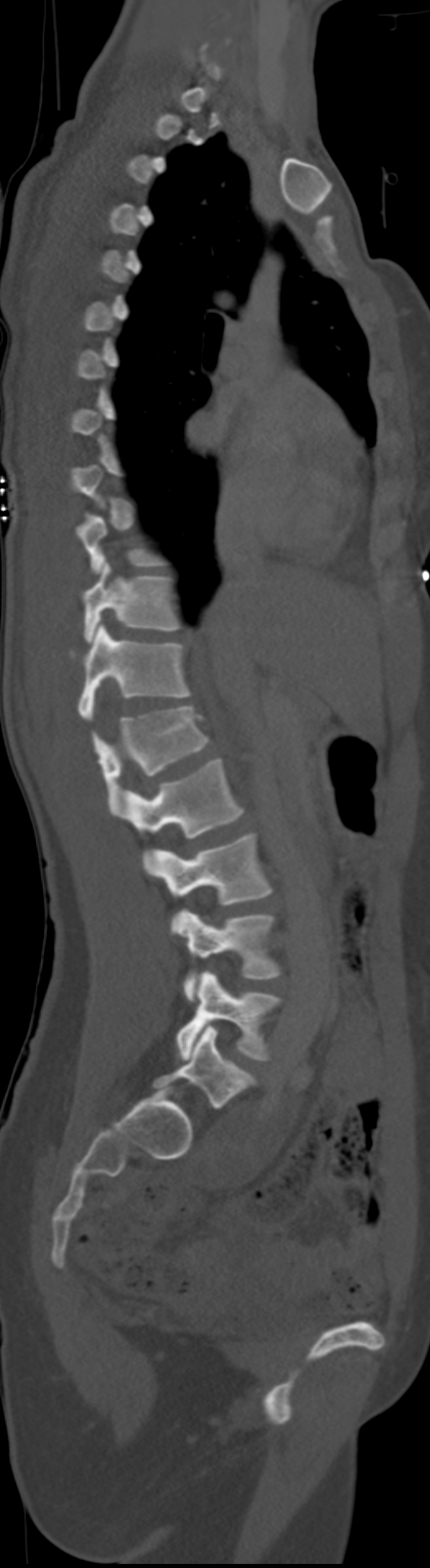

CT, spine · sagittal view · 430x1568 px. Coordinates as <box>x1,y1,x2,y2</box>.
A vertebra gets a box only on the slices from the first to the last where its cross-section is at least a third of its largest; on a slice outside that range it gets none.
The labels name a sixth lumbar vertebra for this spine: L6, after L5. In these labels the thoracic vertebrae end at T11, so L1 follows T11.
L6: <box>153,1025,255,1107</box>
L5: <box>176,971,280,1060</box>
L4: <box>176,909,282,1000</box>
L3: <box>146,833,273,906</box>
L2: <box>123,759,244,839</box>
L1: <box>92,706,211,815</box>
T11: <box>77,625,191,720</box>
T10: <box>84,562,179,642</box>